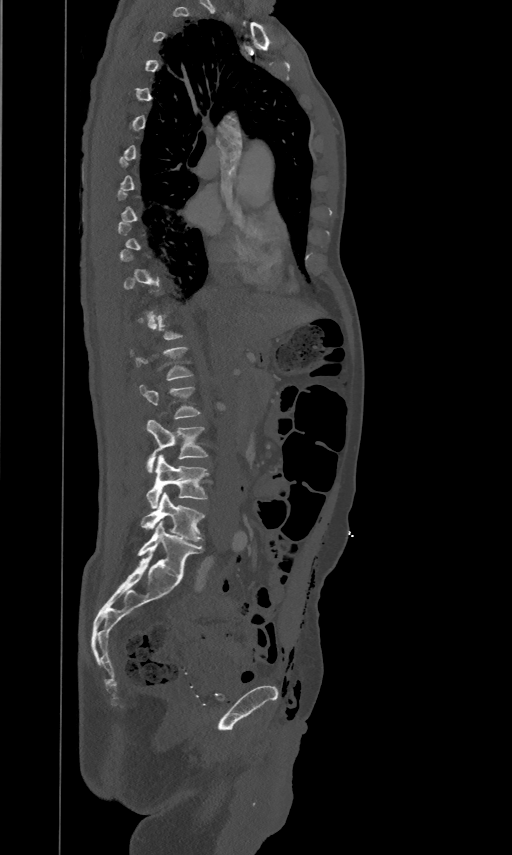

CT; sagittal view
Each vertebra is boxed only on the slices from the first to the last where its cross-section reaches a third of its largest, so a slice outside that range leaves it unboxed.
<vertebrae><v name="L1" x1="130" y1="346" x2="193" y2="379"/><v name="L2" x1="140" y1="383" x2="200" y2="418"/><v name="L3" x1="147" y1="419" x2="207" y2="473"/><v name="L4" x1="146" y1="455" x2="209" y2="509"/><v name="L5" x1="141" y1="492" x2="204" y2="541"/></vertebrae>